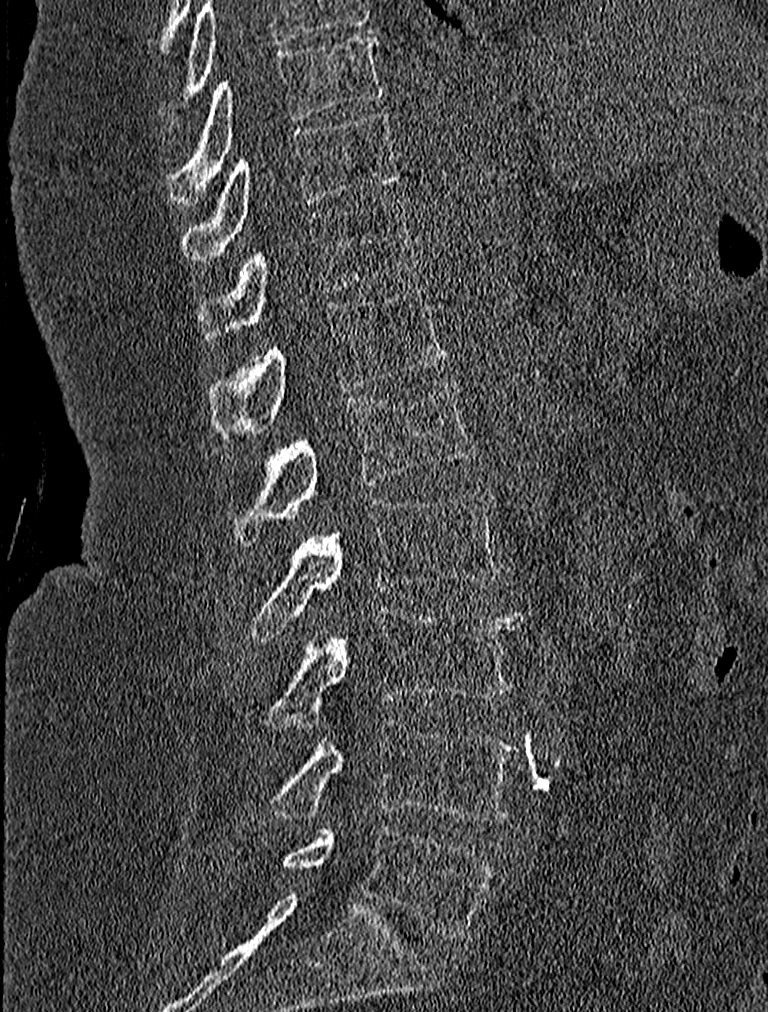 CT spine — 227 mm wide — sagittal reformat
<vertebrae><v name="T9" x1="168" y1="33" x2="384" y2="201"/><v name="T10" x1="182" y1="108" x2="404" y2="259"/><v name="T11" x1="198" y1="196" x2="417" y2="342"/><v name="T12" x1="209" y1="285" x2="448" y2="437"/><v name="L1" x1="236" y1="382" x2="475" y2="543"/><v name="L2" x1="249" y1="490" x2="502" y2="640"/><v name="L3" x1="269" y1="607" x2="522" y2="721"/><v name="L4" x1="269" y1="719" x2="517" y2="823"/><v name="L5" x1="283" y1="824" x2="495" y2="938"/></vertebrae>